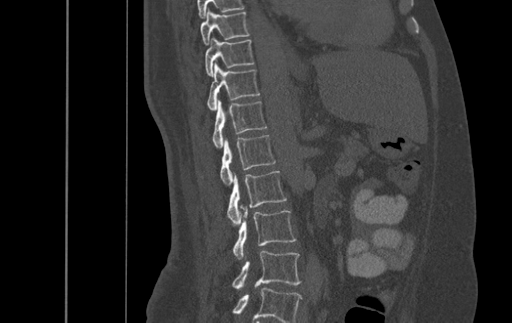
CT spine; sagittal view; 500 mm image width; 512x323 px
Boxes are (x1, y1, x2, y2) in pixels.
Labels in this scan begin with T9 at the top and end with L4 at the bottom.
T9: (200, 8, 249, 44)
T10: (205, 36, 254, 76)
T11: (207, 62, 259, 110)
T12: (212, 99, 266, 147)
L1: (220, 135, 275, 184)
L2: (227, 171, 287, 224)
L3: (233, 208, 296, 259)
L4: (233, 250, 301, 289)